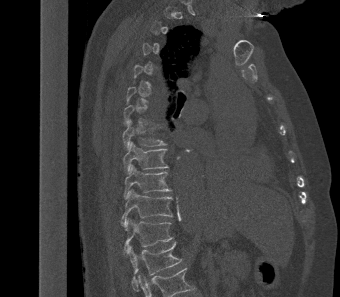

CT; sagittal view; Bone window (WL 400, WW 1800). Box edges are left/top/right/bottom in pixels.
A vertebra is boxed only from the first to the last slice where its cross-section is at least a third of its largest; slices outside that range leave it without a box.
T8: left=122, top=119, right=166, bottom=150
T9: left=123, top=141, right=168, bottom=173
T10: left=123, top=164, right=171, bottom=199
T11: left=121, top=189, right=172, bottom=227
T12: left=123, top=217, right=173, bottom=253
L1: left=127, top=241, right=181, bottom=290